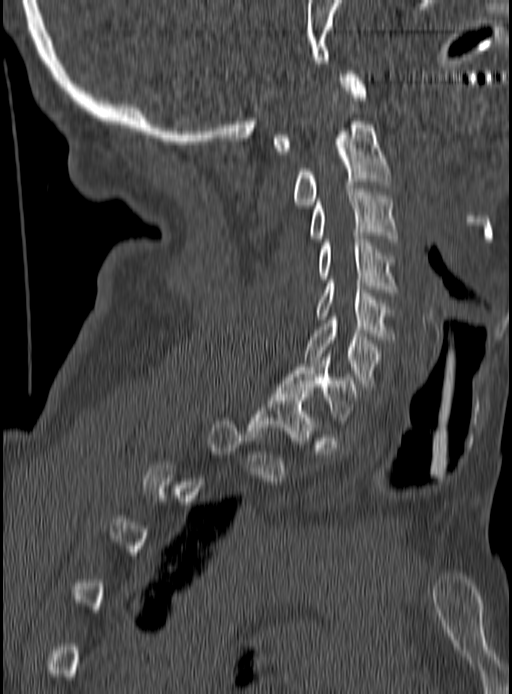

Spine computed tomography — sagittal view — 512x694 px
A vertebra is boxed only from the first to the last slice where its cross-section is at least a third of its largest; slices outside that range leave it without a box.
<vertebrae><v name="T1" x1="249" y1="391" x2="315" y2="444"/><v name="C7" x1="278" y1="357" x2="359" y2="423"/><v name="C6" x1="305" y1="317" x2="380" y2="390"/><v name="C5" x1="316" y1="283" x2="393" y2="339"/><v name="C4" x1="319" y1="232" x2="396" y2="295"/><v name="C3" x1="311" y1="189" x2="399" y2="242"/><v name="C2" x1="292" y1="104" x2="391" y2="208"/><v name="C1" x1="271" y1="71" x2="366" y2="154"/></vertebrae>